Computed tomography of the spine; sagittal plane, index 258; 512x653 px; 377 mm image width
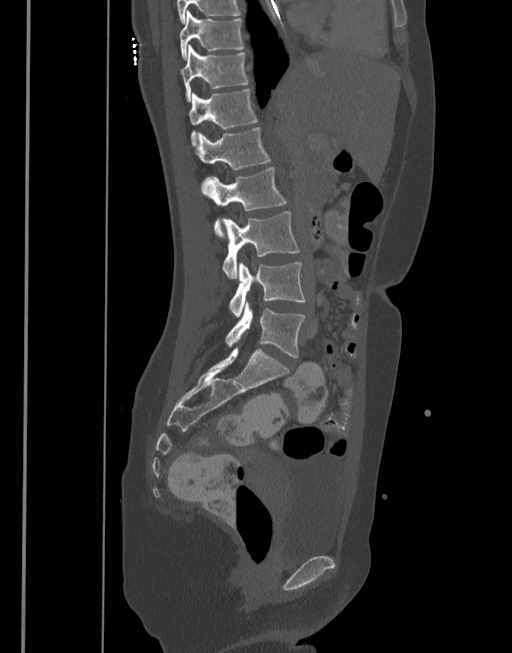

Box edges are left/top/right/bottom in pixels. 8 vertebrae labeled — T10 at left=179, top=10, right=243, bottom=60; T11 at left=179, top=44, right=247, bottom=100; T12 at left=187, top=89, right=257, bottom=138; L1 at left=194, top=127, right=270, bottom=170; L2 at left=202, top=167, right=287, bottom=237; L3 at left=222, top=211, right=300, bottom=279; L4 at left=229, top=262, right=305, bottom=317; L5 at left=225, top=302, right=306, bottom=357.